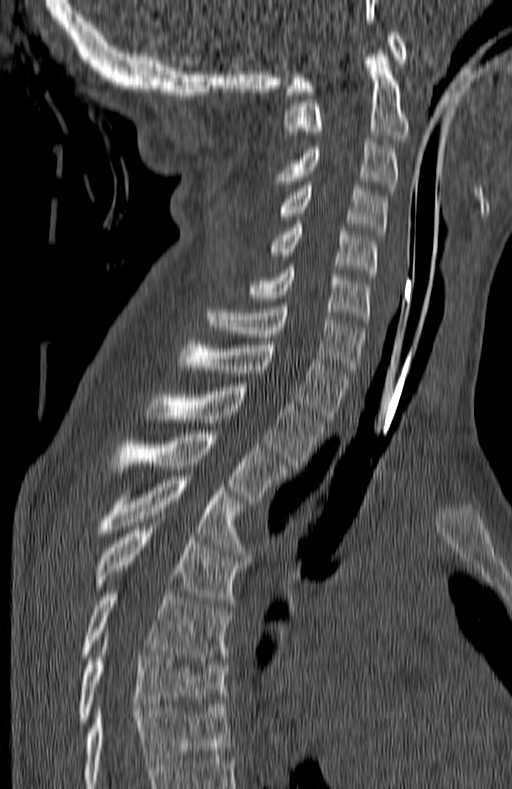 Computed tomography of the spine; sagittal view; 512x789 px; image width 180 mm
Box values are [left, top, right, bottom] in pixels.
Labels in this scan begin with C1 at the top and end with T7 at the bottom.
{"vertebrae":{"C1":[285,32,405,95],"C2":[285,46,410,141],"C3":[273,142,398,191],"C4":[265,185,387,234],"C5":[268,224,378,276],"C6":[248,267,370,323],"C7":[206,306,364,372],"T1":[180,341,350,419],"T2":[146,384,324,468],"T3":[109,430,287,504],"T4":[100,476,245,554],"T5":[95,526,242,603],"T6":[83,590,230,660],"T7":[78,640,227,724]}}